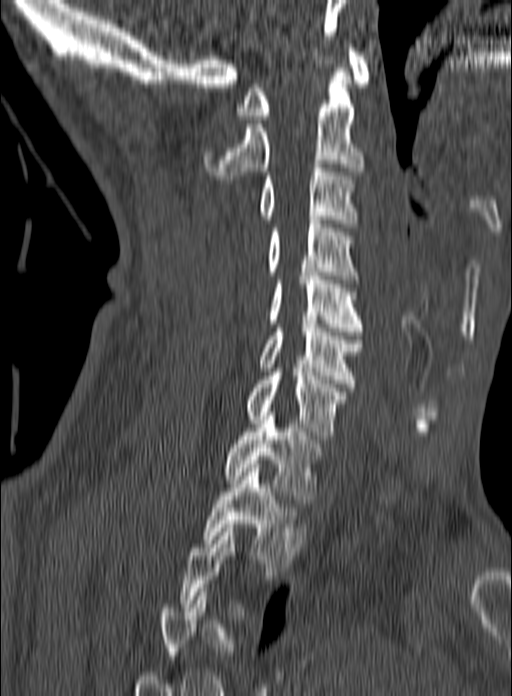 CT — sagittal view
Bounding boxes as [x1, y1, x2, y2] in pixel coordinates.
Not every vertebra on this slice has a box: a vertebra is boxed only from the first to the last slice where its cross-section is at least a third of its largest, and this slice is outside that range for at least one of them.
Vertebra bounding boxes:
- T2: [203, 464, 306, 567]
- T1: [222, 412, 323, 503]
- C7: [244, 368, 347, 439]
- C6: [260, 320, 362, 387]
- C5: [269, 272, 364, 335]
- C4: [267, 220, 358, 283]
- C3: [257, 164, 357, 227]
- C2: [202, 68, 365, 179]
- C1: [236, 48, 368, 119]